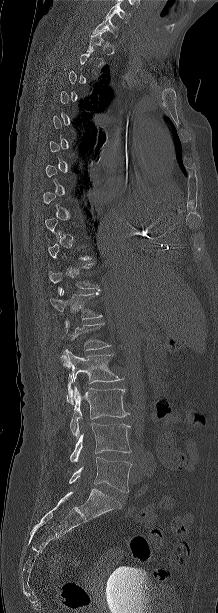
Spine CT · sagittal view
In the table, x1 and y1 are a box's top-left corner and x2 and y2 its bottom-right corner, in pixels.
A vertebra is boxed only from the first to the last slice where its cross-section is at least a third of its largest; slices outside that range leave it without a box.
Labels in this scan begin with C7 at the top and end with L5 at the bottom.
| vertebra | x1 | y1 | x2 | y2 |
|---|---|---|---|---|
| C7 | 93 | 17 | 118 | 37 |
| T12 | 50 | 290 | 102 | 321 |
| L1 | 62 | 320 | 110 | 366 |
| L2 | 66 | 350 | 123 | 404 |
| L3 | 70 | 386 | 129 | 436 |
| L4 | 70 | 423 | 131 | 461 |
| L5 | 69 | 457 | 131 | 492 |